Spine computed tomography. sagittal reformat. bone-window reconstruction. 556x600 px
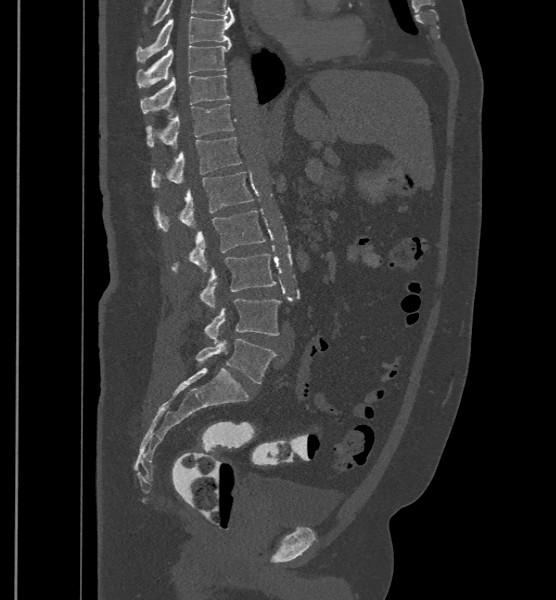

Each row gives a vertebra's box as x1, y1, x2, y2 in pixels: top-left corner, then bottom-right corner.
Labels in this scan begin with T9 at the top and end with L6 at the bottom.
These labels give the spine a sixth lumbar vertebra, L6, below L5.
| vertebra | x1 | y1 | x2 | y2 |
|---|---|---|---|---|
| T9 | 137 | 16 | 233 | 62 |
| T10 | 137 | 43 | 231 | 87 |
| T11 | 140 | 73 | 229 | 113 |
| T12 | 145 | 103 | 234 | 148 |
| L1 | 151 | 137 | 241 | 187 |
| L2 | 153 | 171 | 253 | 230 |
| L3 | 171 | 210 | 266 | 273 |
| L4 | 199 | 253 | 276 | 308 |
| L5 | 203 | 299 | 280 | 343 |
| L6 | 195 | 339 | 276 | 383 |